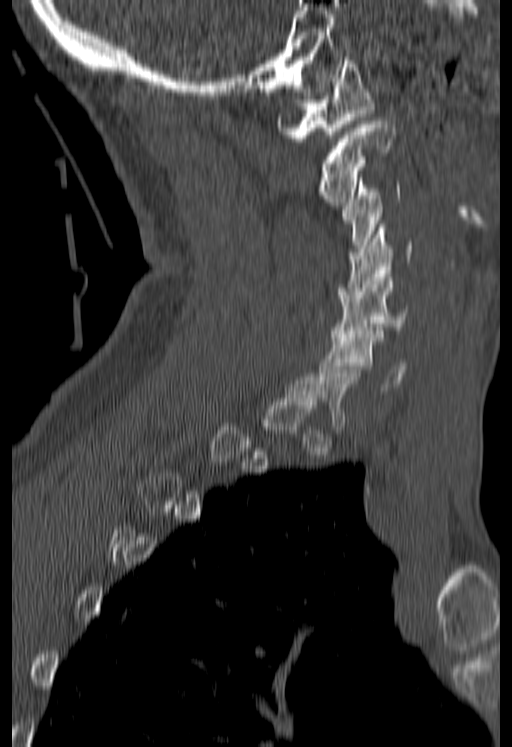
Computed tomography of the spine. sagittal view. 180 mm across the image. bone-window reconstruction
Coordinates as <box>x1,y1,x2,y2</box>.
Not every vertebra on this slice has a box: a vertebra is boxed only from the first to the last slice where its cross-section is at least a third of its largest, and this slice is outside that range for at least one of them.
Vertebra bounding boxes:
- C6: <box>319,331,405,390</box>
- C5: <box>331,274,410,340</box>
- C4: <box>339,224,413,298</box>
- C3: <box>342,178,400,255</box>
- C2: <box>317,121,395,205</box>
- C1: <box>276,57,373,141</box>